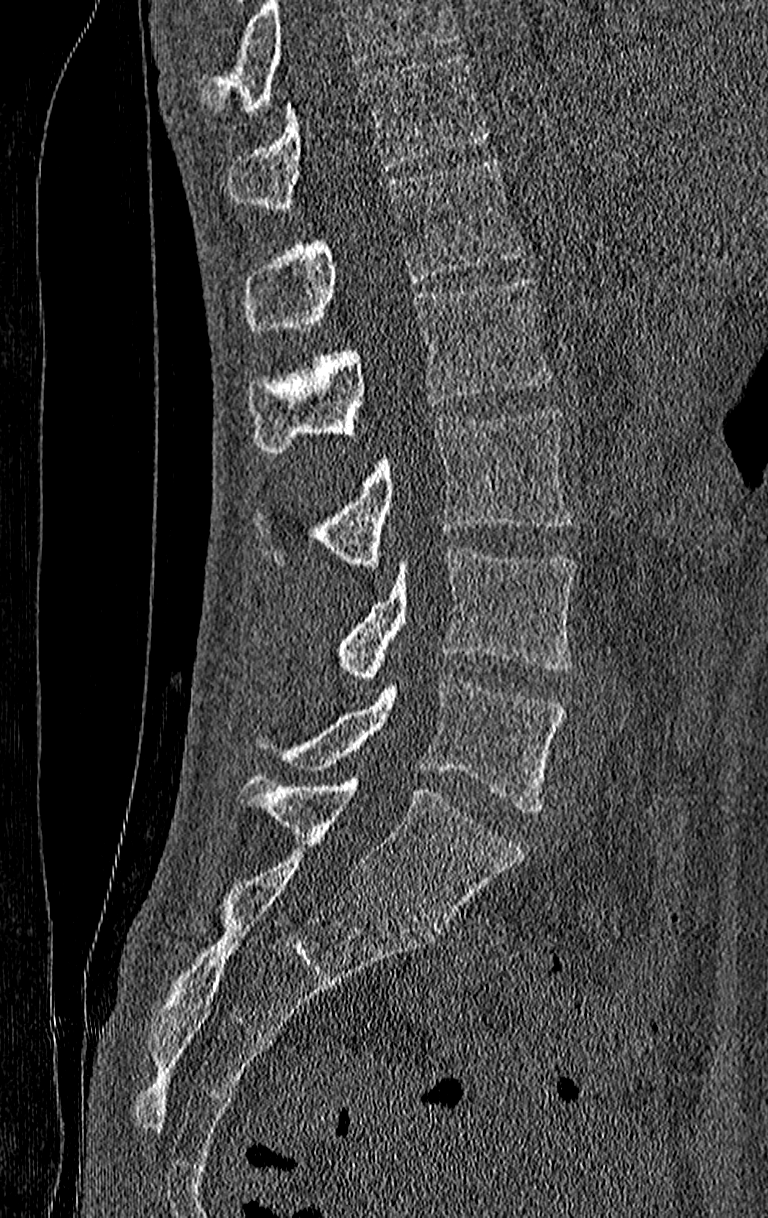 Computed tomography of the spine. sagittal reformat. Bone window (WL 400, WW 1800). 768x1218 px
Boxes below are [x1, y1, x2, y2] in pixels.
A vertebra cut off by the top edge of the scan is not labeled and has no box.
This scan's labels start at T11 at the top and end at L4 at the bottom.
{"vertebrae":{"L4":[255,673,565,812],"L3":[335,546,575,677],"L2":[251,410,575,567],"L1":[247,278,554,453],"T12":[244,158,524,333],"T11":[229,53,488,211]}}